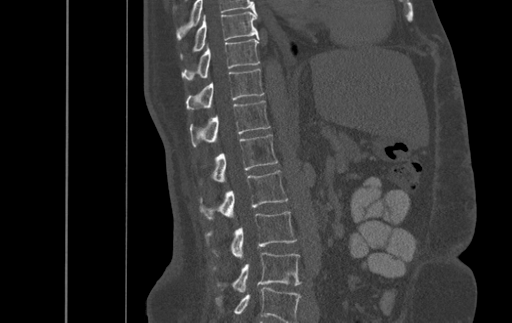
CT — sagittal view — 512x323 px
Each box given as x1,y1,x2,y2.
Labels in this scan begin with T9 at the top and end with L4 at the bottom.
T9: x1=181, y1=12, x2=258, y2=57
T10: x1=182, y1=38, x2=259, y2=80
T11: x1=186, y1=69, x2=263, y2=110
T12: x1=190, y1=100, x2=270, y2=146
L1: x1=212, y1=134, x2=277, y2=182
L2: x1=200, y1=170, x2=288, y2=219
L3: x1=206, y1=211, x2=296, y2=259
L4: x1=214, y1=252, x2=301, y2=292